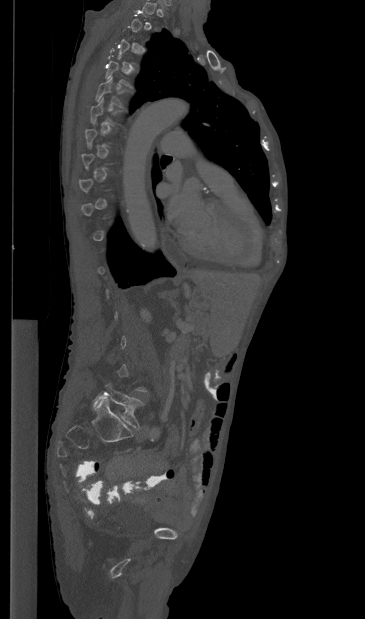

Spine CT. sagittal view. 365x619 px
Boxes: x1 y1 x2 y2 (pixel coords, space-separated). Not every vertebra on this slice has a box: a vertebra is boxed only from the first to the last slice where its cross-section is at least a third of its largest, and this slice is outside that range for at least one of them. The labeled vertebrae in this slice are: L5 at 93 384 143 428, T5 at 95 77 123 107.